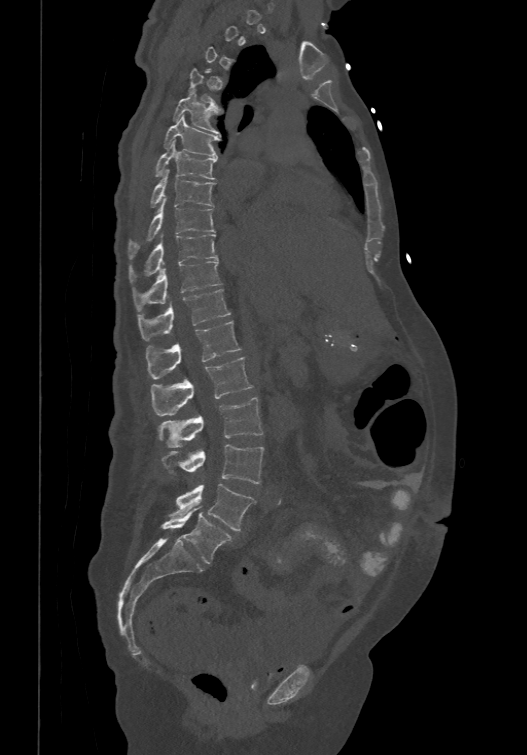

CT, spine · sagittal view · Bone window (WL 400, WW 1800) · 527x755 px · the image spans 474 mm across. Each row gives a vertebra's box as x1, y1, x2, y2 in pixels: top-left corner, then bottom-right corner.
Not every vertebra on this slice has a box: a vertebra is boxed only from the first to the last slice where its cross-section is at least a third of its largest, and this slice is outside that range for at least one of them.
These labels give the spine a sixth lumbar vertebra, L6, below L5.
| vertebra | x1 | y1 | x2 | y2 |
|---|---|---|---|---|
| T5 | 173 | 90 | 223 | 133 |
| T6 | 165 | 113 | 219 | 157 |
| T7 | 155 | 140 | 216 | 177 |
| T8 | 151 | 168 | 215 | 206 |
| T9 | 128 | 196 | 215 | 257 |
| T10 | 129 | 233 | 217 | 281 |
| T11 | 134 | 258 | 221 | 310 |
| T12 | 138 | 288 | 230 | 339 |
| L1 | 145 | 320 | 240 | 378 |
| L2 | 151 | 356 | 252 | 415 |
| L3 | 157 | 397 | 262 | 446 |
| L4 | 161 | 444 | 263 | 483 |
| L5 | 170 | 484 | 255 | 531 |
| L6 | 160 | 506 | 233 | 563 |